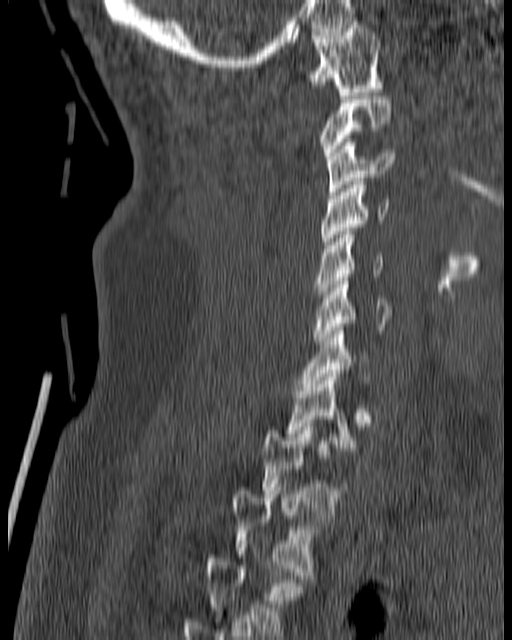

Spine CT — sagittal view — 180 mm wide — bone window — 512x640 px

<vertebrae><v name="C1" x1="306" y1="21" x2="383" y2="95"/><v name="C2" x1="319" y1="96" x2="391" y2="159"/><v name="C3" x1="327" y1="139" x2="393" y2="195"/><v name="C4" x1="322" y1="178" x2="388" y2="248"/><v name="C5" x1="314" y1="231" x2="384" y2="294"/><v name="C6" x1="314" y1="277" x2="391" y2="344"/><v name="C7" x1="300" y1="327" x2="370" y2="390"/><v name="T1" x1="285" y1="377" x2="355" y2="454"/><v name="T2" x1="262" y1="423" x2="347" y2="515"/><v name="T3" x1="231" y1="487" x2="324" y2="579"/><v name="T4" x1="205" y1="555" x2="305" y2="632"/></vertebrae>